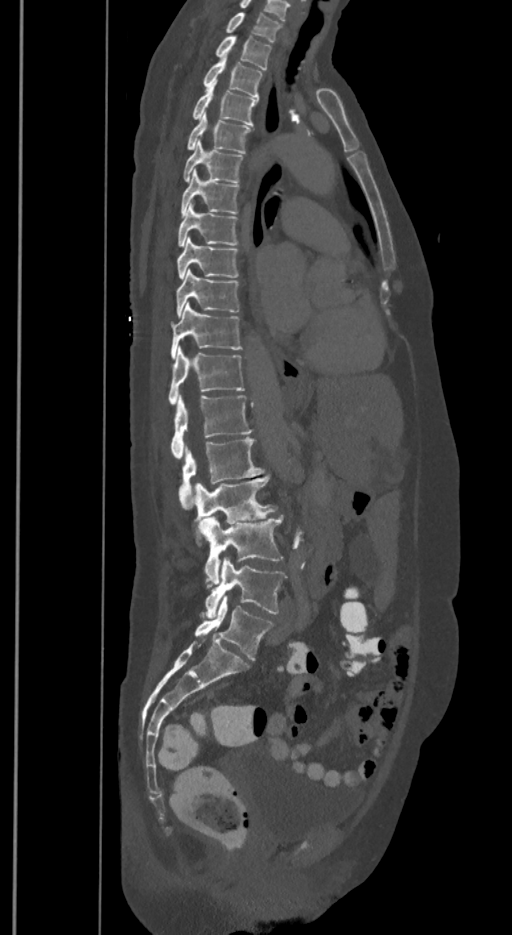

CT — sagittal view
Box edges are left/top/right/bottom in pixels.
In these labels the spine has an L6, a sixth lumbar vertebra below L5.
T1: left=225, top=12, right=281, bottom=41
T2: left=215, top=36, right=271, bottom=69
T3: left=203, top=50, right=262, bottom=98
T4: left=193, top=82, right=256, bottom=125
T5: left=187, top=113, right=250, bottom=153
T6: left=183, top=141, right=243, bottom=182
T7: left=181, top=170, right=239, bottom=216
T8: left=178, top=204, right=237, bottom=247
T9: left=177, top=237, right=239, bottom=278
T10: left=177, top=270, right=239, bottom=316
T11: left=171, top=303, right=242, bottom=358
T12: left=168, top=346, right=245, bottom=403
L1: left=171, top=395, right=252, bottom=458
L2: left=178, top=437, right=264, bottom=509
L3: left=194, top=475, right=277, bottom=545
L4: left=200, top=516, right=283, bottom=588
L5: left=205, top=557, right=285, bottom=616
L6: left=194, top=595, right=272, bottom=660